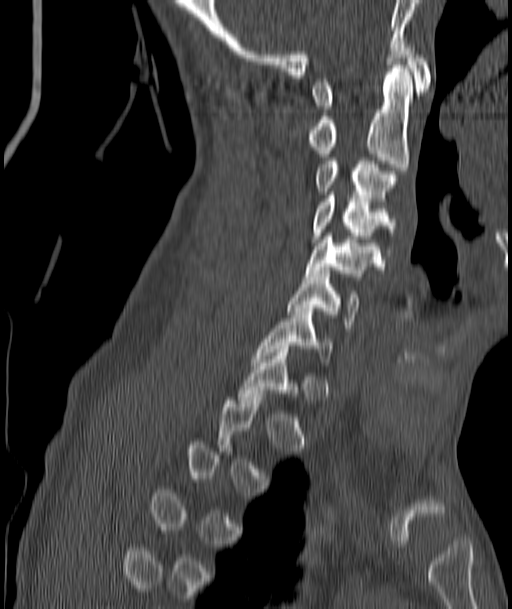
Spine CT — sagittal view — the image is 187 mm wide — 512x609 px. Boxes are (x1, y1, x2, y2) in pixels.
A vertebra gets a box only on the slices from the first to the last where its cross-section is at least a third of its largest; on a slice outside that range it gets none.
Vertebra bounding boxes:
- C1: (313, 44, 430, 109)
- C2: (308, 65, 413, 174)
- C3: (316, 161, 394, 204)
- C4: (313, 192, 394, 239)
- C5: (305, 233, 379, 276)
- C6: (288, 270, 359, 328)
- C7: (253, 308, 331, 362)